CT, spine; sagittal plane, index 321; W/L 1800/400 HU; 512x827 px; 10 vertebrae labeled in this scan
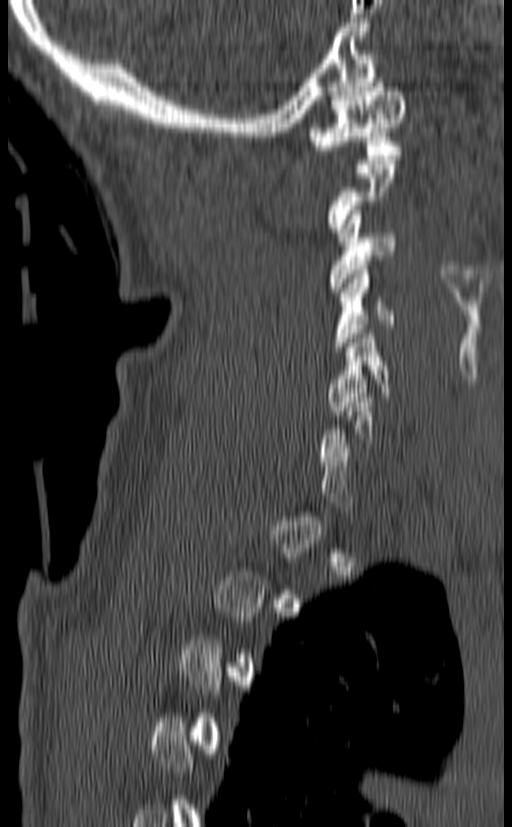

Box values are [left, top, right, bottom] in pixels.
A vertebra is boxed only from the first to the last slice where its cross-section is at least a third of its largest; slices outside that range leave it without a box.
{"vertebrae":{"C1":[307,78,406,159],"C3":[329,206,395,292],"C4":[333,265,396,351],"C5":[327,329,390,415]}}